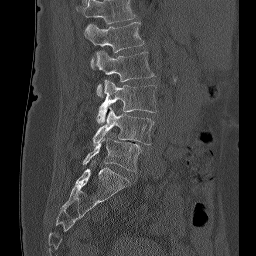
CT, spine. sagittal reformat. 256x256 px. 256 mm wide
Each row gives a vertebra's box as x1, y1, x2, y2 in pixels: top-left corner, then bottom-right corner.
The highest labeled vertebra in this scan is L1; the lowest is L5.
| vertebra | x1 | y1 | x2 | y2 |
|---|---|---|---|---|
| L1 | 84 | 21 | 144 | 68 |
| L2 | 95 | 50 | 154 | 97 |
| L3 | 96 | 80 | 157 | 123 |
| L4 | 93 | 108 | 154 | 145 |
| L5 | 83 | 136 | 141 | 171 |